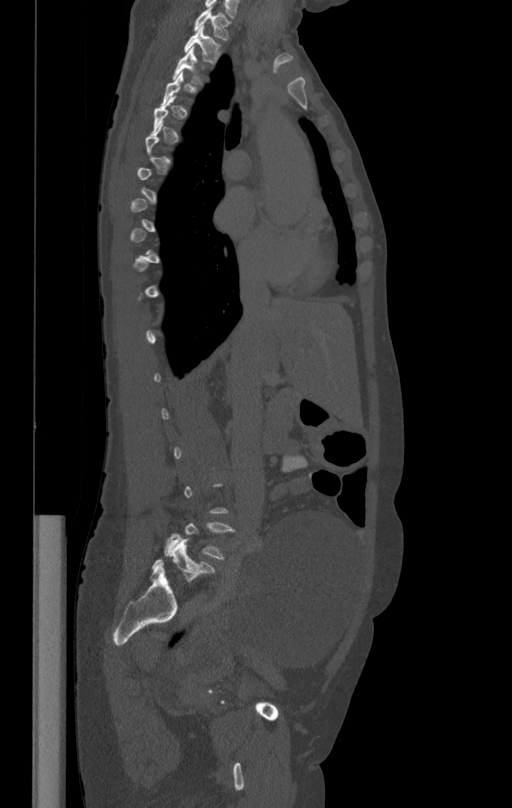 Computed tomography of the spine. sagittal view. W/L 1800/400 HU
Coordinates as <box>x1,y1,x2,y2</box>.
Not every vertebra on this slice has a box: a vertebra is boxed only from the first to the last slice where its cross-section is at least a third of its largest, and this slice is outside that range for at least one of them.
Vertebra bounding boxes:
- T1: <box>195,7,231,39</box>
- T2: <box>184,26,221,64</box>
- T3: <box>173,48,204,84</box>
- L5: <box>163,521,234,559</box>